Spine CT; sagittal reformat; 477 mm image width; W/L 1800/400 HU
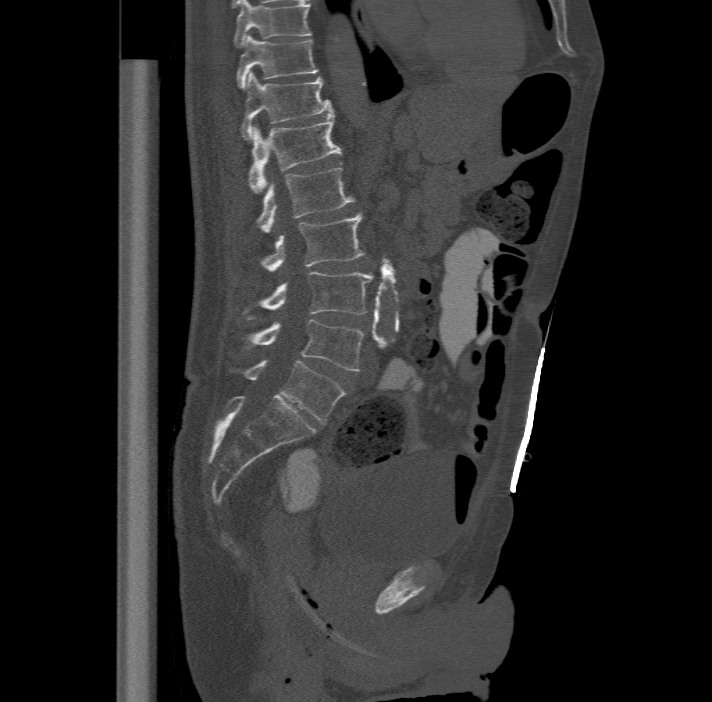 Each box is [x1, y1, x2, y2] in pixels: top-left corner, then bottom-right corner.
The highest labeled vertebra in this scan is T11; the lowest is L6.
In these labels the spine has an L6, a sixth lumbar vertebra below L5.
{"vertebrae":{"T11":[236,34,319,87],"T12":[242,71,331,138],"L1":[248,110,341,191],"L2":[257,167,354,232],"L3":[261,212,365,270],"L4":[243,271,372,317],"L5":[246,318,363,371],"L6":[243,360,345,424]}}